Computed tomography of the spine — sagittal plane, index 294 — Bone window (WL 400, WW 1800) — scan covers 14 annotated vertebrae
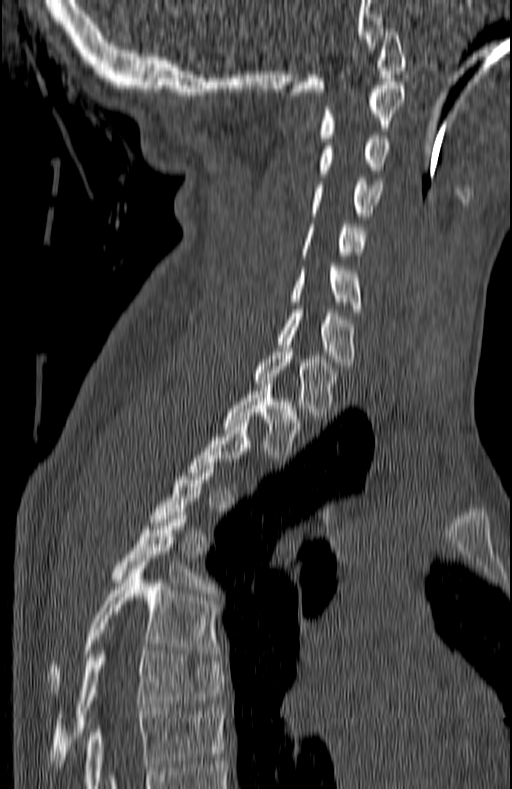 Boxes are given in columns x1, y1, x2, y2, the pixel coordinates of their top-left and bottom-right corners.
A vertebra gets a box only on the slices from the first to the last where its cross-section is at least a third of its largest; on a slice outside that range it gets none.
| vertebra | x1 | y1 | x2 | y2 |
|---|---|---|---|---|
| C1 | 291 | 28 | 407 | 95 |
| C2 | 319 | 85 | 404 | 141 |
| C3 | 319 | 135 | 390 | 177 |
| C4 | 311 | 178 | 381 | 216 |
| C5 | 300 | 224 | 364 | 255 |
| C6 | 291 | 263 | 361 | 312 |
| C7 | 277 | 309 | 353 | 369 |
| T1 | 254 | 348 | 336 | 419 |
| T2 | 223 | 380 | 299 | 458 |
| T5 | 112 | 512 | 210 | 589 |
| T6 | 49 | 562 | 216 | 692 |
| T7 | 49 | 647 | 225 | 767 |